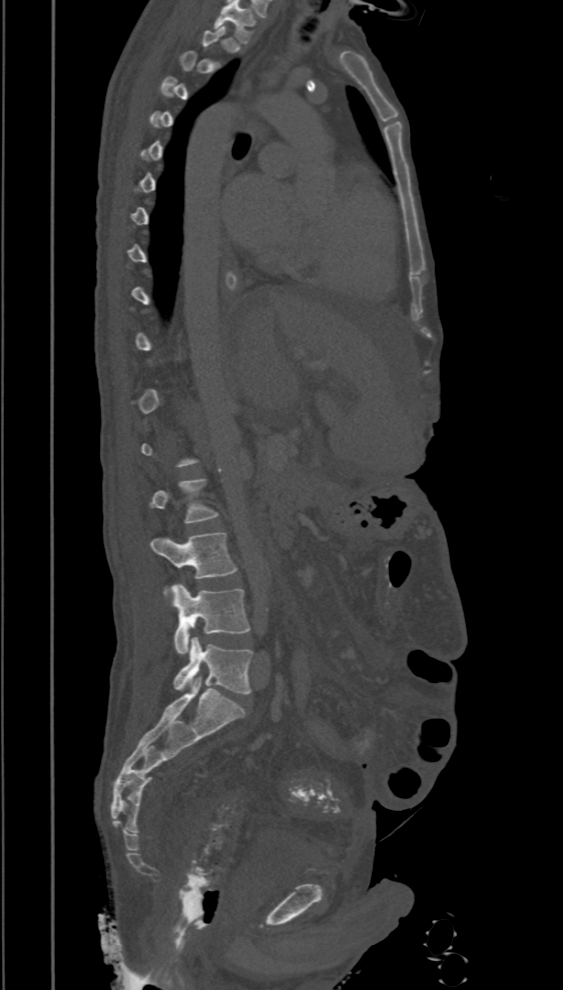 CT, spine — sagittal view. Each box given as x1,y1,x2,y2.
Each vertebra is boxed only on the slices from the first to the last where its cross-section reaches a third of its largest, so a slice outside that range leaves it unboxed.
| vertebra | x1 | y1 | x2 | y2 |
|---|---|---|---|---|
| L5 | 173 | 637 | 253 | 694 |
| L4 | 171 | 583 | 251 | 654 |
| L3 | 150 | 532 | 238 | 594 |
| L2 | 150 | 479 | 219 | 524 |